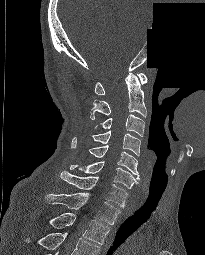
Computed tomography of the spine; 205 mm image width; sagittal view; part of the image is constant black where the scan was masked
Each box given as x1,y1,x2,y2.
The highest labeled vertebra in this scan is C1; the lowest is T2.
| vertebra | x1 | y1 | x2 | y2 |
|---|---|---|---|---|
| C1 | 94 | 72 | 147 | 94 |
| C2 | 90 | 73 | 146 | 119 |
| C3 | 94 | 114 | 144 | 136 |
| C4 | 90 | 130 | 140 | 155 |
| C5 | 88 | 145 | 139 | 180 |
| C6 | 70 | 161 | 138 | 188 |
| C7 | 60 | 171 | 128 | 208 |
| T1 | 45 | 192 | 120 | 224 |
| T2 | 49 | 213 | 109 | 244 |